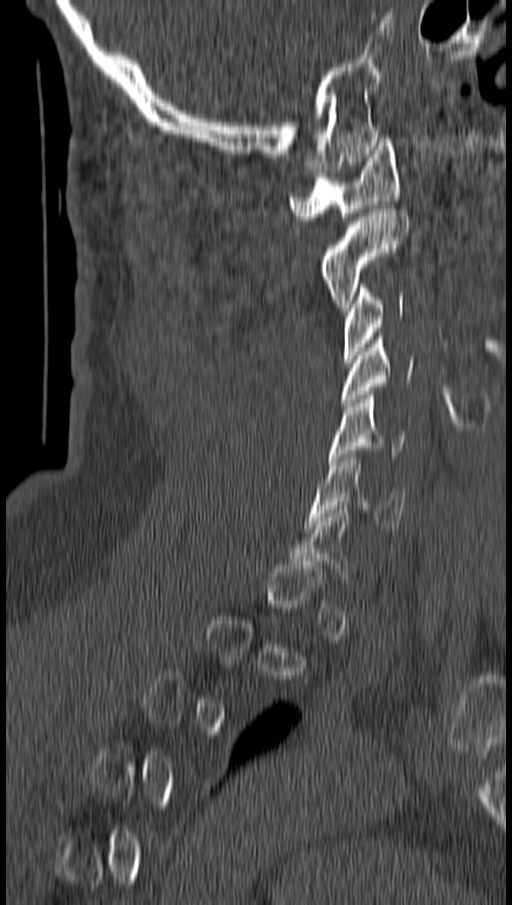

Computed tomography of the spine · sagittal view · bone window
A vertebra is boxed only from the first to the last slice where its cross-section is at least a third of its largest; slices outside that range leave it without a box.
<vertebrae><v name="C1" x1="289" y1="138" x2="401" y2="220"/><v name="C2" x1="320" y1="209" x2="408" y2="311"/><v name="C3" x1="342" y1="284" x2="405" y2="362"/><v name="C4" x1="342" y1="336" x2="414" y2="406"/><v name="C5" x1="330" y1="391" x2="406" y2="461"/><v name="C6" x1="308" y1="454" x2="406" y2="528"/></vertebrae>